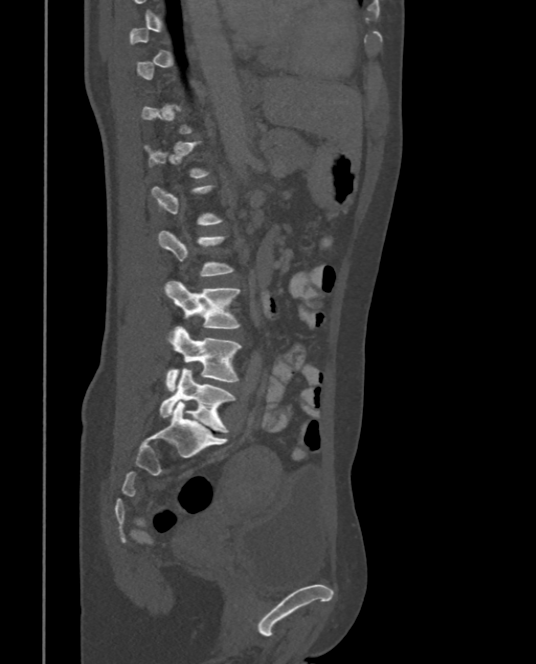 CT spine; 375 mm image width; sagittal view
Boxes: x1 y1 x2 y2 (pixel coords, space-separated).
Not every vertebra on this slice has a box: a vertebra is boxed only from the first to the last slice where its cross-section is at least a third of its largest, and this slice is outside that range for at least one of them.
Vertebra bounding boxes:
- L2: 158 230 233 276
- L3: 164 281 241 329
- L4: 165 326 242 390
- L5: 160 368 234 432